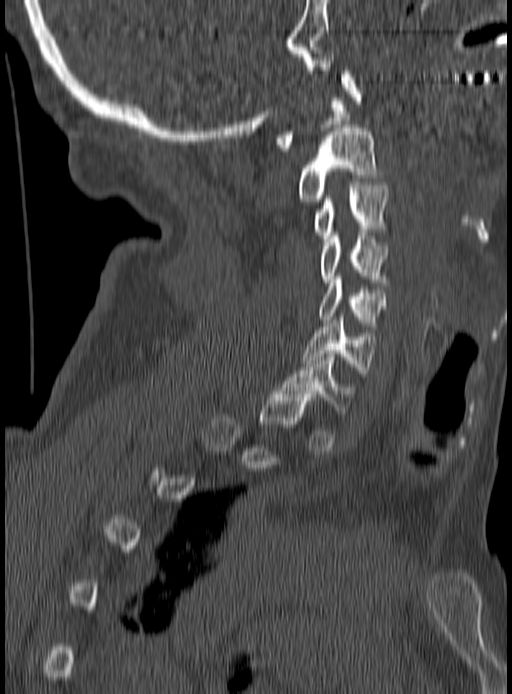

Spine computed tomography. sagittal view. 190 mm across the image. 512x694 px
Boxes below are [x1, y1, x2, y2] in pixels.
A vertebra gets a box only on the slices from the first to the last where its cross-section is at least a third of its largest; on a slice outside that range it gets none.
{"vertebrae":{"C1":[275,67,361,151],"C2":[300,128,374,201],"C3":[313,182,388,238],"C4":[322,232,387,285],"C5":[319,276,385,326],"C6":[303,317,374,376],"C7":[279,354,359,413]}}